CT, spine · sagittal view · 288 mm wide
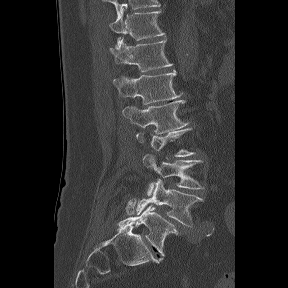 In the table, x1 and y1 are a box's top-left corner and x2 and y2 its bottom-right corner, in pixels.
Not every vertebra on this slice has a box: a vertebra is boxed only from the first to the last slice where its cross-section is at least a third of its largest, and this slice is outside that range for at least one of them.
These labels give the spine a sixth lumbar vertebra, L6, below L5.
| vertebra | x1 | y1 | x2 | y2 |
|---|---|---|---|---|
| T11 | 110 | 6 | 164 | 47 |
| T12 | 110 | 36 | 172 | 72 |
| L1 | 113 | 70 | 181 | 104 |
| L2 | 123 | 100 | 188 | 133 |
| L4 | 142 | 154 | 204 | 195 |
| L5 | 135 | 179 | 203 | 226 |
| L6 | 118 | 205 | 179 | 256 |